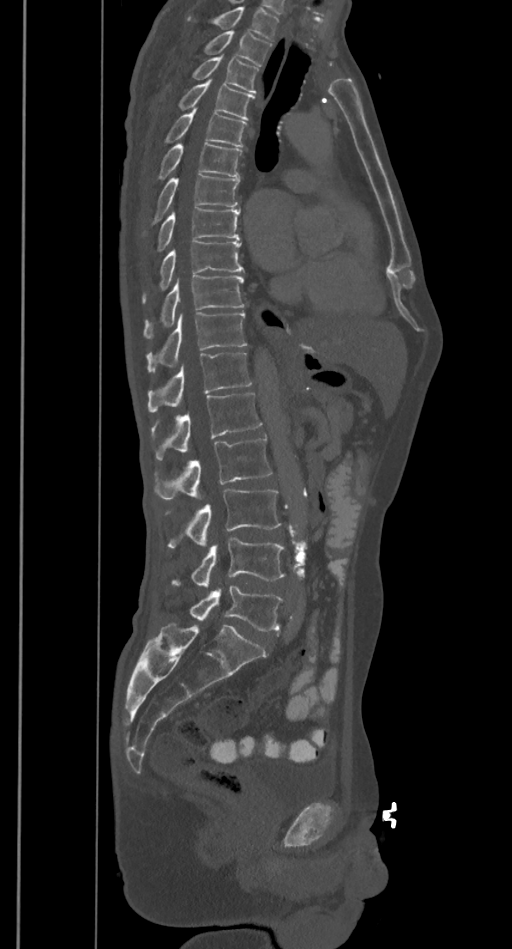
Spine computed tomography. sagittal reformat. bone window. 512x949 px. 385 mm wide
Each vertebra maps to its box as [x1, y1, x2, y2], the pixel coordinates of its top-left and bottom-right corners.
A vertebra cut off by the top edge of the scan is not labeled and has no box.
{"vertebrae":{"T2":[203,30,271,65],"T3":[191,55,259,94],"T4":[178,79,254,119],"T5":[163,108,247,146],"T6":[157,144,242,180],"T7":[142,174,240,235],"T8":[157,208,240,252],"T9":[142,241,242,302],"T10":[143,275,245,338],"T11":[146,312,246,372],"T12":[147,352,252,411],"L1":[150,391,262,460],"L2":[154,437,271,500],"L3":[165,490,281,548],"L4":[171,537,285,587],"L5":[189,586,283,632]}}